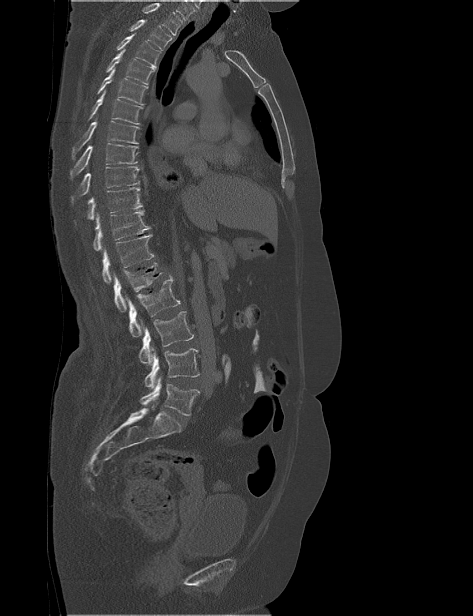
Spine CT — sagittal view — W/L 1800/400 HU
No box is given to a vertebra that the top edge of the scan cuts off.
<vertebrae><v name="T2" x1="128" y1="19" x2="172" y2="50"/><v name="T3" x1="116" y1="32" x2="161" y2="68"/><v name="T4" x1="106" y1="49" x2="155" y2="85"/><v name="T5" x1="97" y1="68" x2="147" y2="105"/><v name="T6" x1="86" y1="90" x2="143" y2="124"/><v name="T7" x1="71" y1="121" x2="141" y2="160"/><v name="T8" x1="70" y1="143" x2="138" y2="179"/><v name="T9" x1="71" y1="166" x2="139" y2="202"/><v name="T10" x1="86" y1="187" x2="143" y2="219"/><v name="T11" x1="93" y1="210" x2="151" y2="250"/><v name="T12" x1="102" y1="234" x2="154" y2="283"/><v name="L1" x1="113" y1="262" x2="162" y2="311"/><v name="L2" x1="126" y1="275" x2="180" y2="337"/><v name="L3" x1="139" y1="311" x2="193" y2="365"/><v name="L4" x1="144" y1="348" x2="199" y2="389"/><v name="L5" x1="140" y1="376" x2="200" y2="415"/></vertebrae>